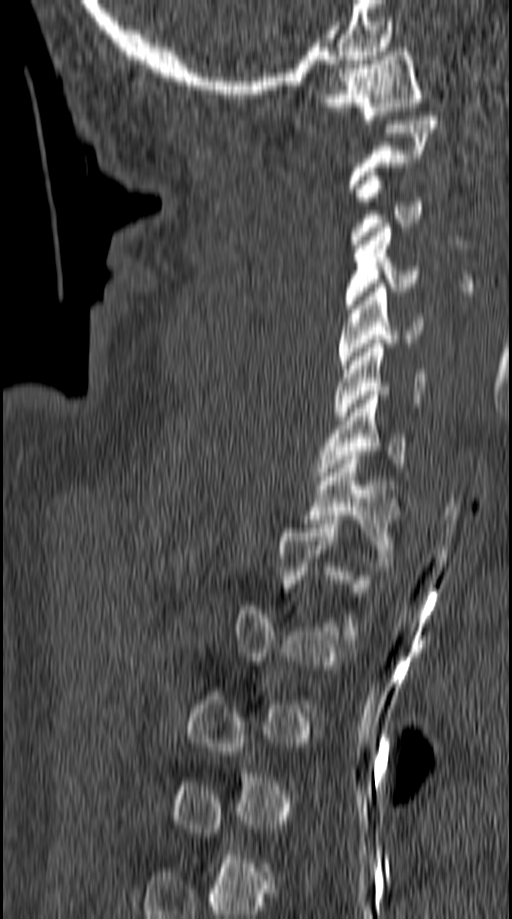 Spine computed tomography. sagittal view

In the table, x1 and y1 are a box's top-left corner and x2 and y2 its bottom-right corner, in pixels.
Each vertebra is boxed only on the slices from the first to the last where its cross-section reaches a third of its largest, so a slice outside that range leaves it unboxed.
| vertebra | x1 | y1 | x2 | y2 |
|---|---|---|---|---|
| C1 | 316 | 47 | 423 | 119 |
| C3 | 350 | 172 | 423 | 244 |
| C4 | 345 | 223 | 419 | 313 |
| C5 | 338 | 283 | 423 | 368 |
| C6 | 335 | 344 | 426 | 420 |
| C7 | 318 | 391 | 406 | 480 |
| T1 | 305 | 451 | 403 | 562 |